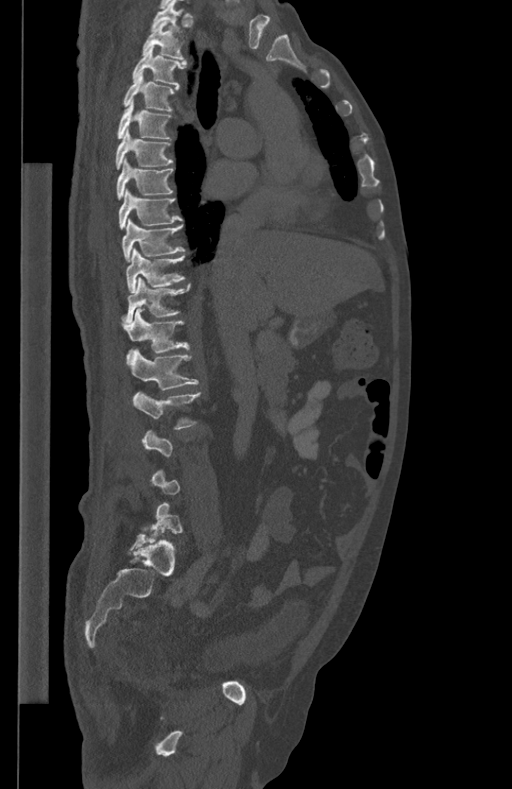

Spine computed tomography — sagittal reformat — image 434 mm wide — bone window. Boxes are (x1, y1, x2, y2) in pixels. Not every vertebra on this slice has a box: a vertebra is boxed only from the first to the last slice where its cross-section is at least a third of its largest, and this slice is outside that range for at least one of them. Vertebrae labeled: L2 at (132, 392, 201, 429), L1 at (127, 349, 198, 389), T12 at (121, 308, 189, 360), T11 at (123, 277, 190, 323), T10 at (126, 248, 185, 292), T9 at (121, 219, 184, 260), T8 at (119, 190, 182, 228), T7 at (116, 158, 174, 200), T6 at (114, 130, 172, 169), T5 at (117, 101, 171, 139), T4 at (123, 74, 178, 110), T3 at (132, 47, 186, 87), T2 at (143, 21, 184, 58), T1 at (150, 0, 183, 33).